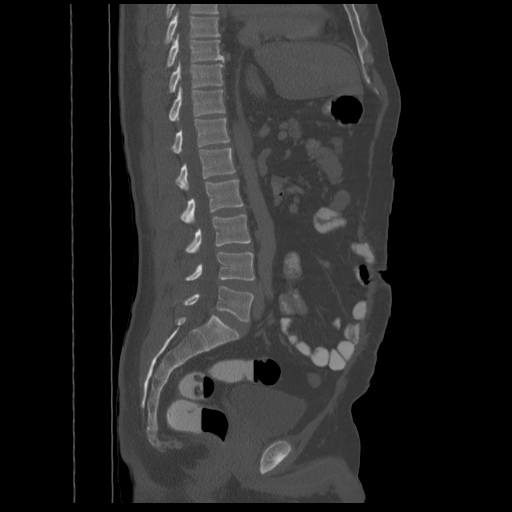

CT spine. sagittal view. bone-window reconstruction

The highest labeled vertebra in this scan is T8; the lowest is L5.
<vertebrae><v name="L5" x1="182" y1="286" x2="253" y2="321"/><v name="L4" x1="185" y1="251" x2="254" y2="280"/><v name="L3" x1="185" y1="214" x2="250" y2="252"/><v name="L2" x1="180" y1="179" x2="243" y2="223"/><v name="L1" x1="176" y1="148" x2="234" y2="190"/><v name="T12" x1="171" y1="118" x2="229" y2="153"/><v name="T11" x1="169" y1="85" x2="225" y2="120"/><v name="T10" x1="169" y1="62" x2="223" y2="92"/><v name="T9" x1="165" y1="34" x2="224" y2="66"/><v name="T8" x1="163" y1="11" x2="219" y2="44"/></vertebrae>